CT spine — 275 mm image width — sagittal view — Bone window (WL 400, WW 1800) — 275x605 px
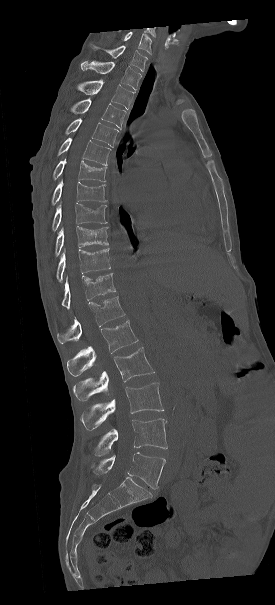

Box edges are left/top/right/bottom in pixels. Labels in this scan begin with C7 at the top and end with L5 at the bottom. Vertebrae labeled: L5 at left=90, top=452, right=165, bottom=489, L4 at left=89, top=418, right=167, bottom=456, L3 at left=80, top=383, right=163, bottom=429, L2 at left=73, top=347, right=154, bottom=400, L1 at left=66, top=320, right=137, bottom=376, T12 at left=57, top=296, right=124, bottom=344, T11 at left=62, top=273, right=115, bottom=308, T10 at left=47, top=248, right=110, bottom=282, T9 at left=54, top=226, right=108, bottom=256, T8 at left=52, top=203, right=106, bottom=231, T7 at left=50, top=179, right=106, bottom=206, T6 at left=49, top=159, right=106, bottom=181, T5 at left=57, top=137, right=110, bottom=165, T4 at left=64, top=118, right=118, bottom=146, T3 at left=70, top=98, right=125, bottom=129, T2 at left=76, top=79, right=135, bottom=109, T1 at left=81, top=60, right=141, bottom=90, C7 at left=91, top=43, right=147, bottom=71.